CT spine — Sagittal slice 297/512 — bone window — 512x263 px — 461 mm image width — 10 vertebrae labeled in this scan
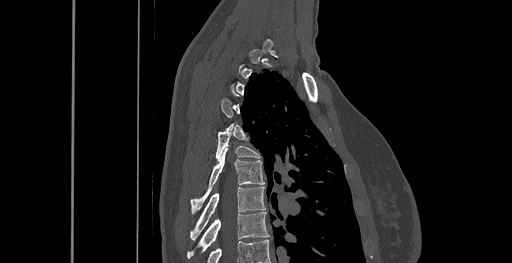
Boxes are (x1, y1, x2, y2) in pixels.
Each vertebra is boxed only on the slices from the first to the last where its cross-section reaches a third of its largest, so a slice outside that range leaves it unboxed.
Vertebra bounding boxes:
- T5: (215, 129, 260, 160)
- T6: (191, 149, 264, 213)
- T7: (190, 186, 265, 241)
- T8: (187, 212, 269, 258)